CT. sagittal plane, index 92. W/L 1800/400 HU. 209x603 px
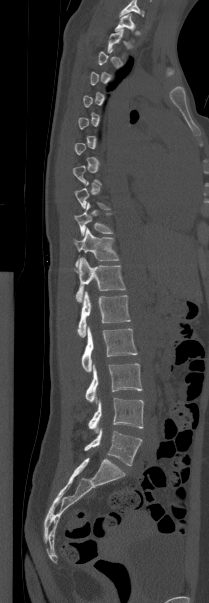

Boxes are (x1, y1, x2, y2) in pixels. A vertebra gets a box only on the slices from the first to the last where its cross-section is at least a third of its largest; on a slice outside that range it gets none. In this scan, the topmost labeled vertebra is T1 and the lowest is L5. 11 vertebrae labeled — L5 at (84, 428, 142, 466); L4 at (88, 398, 143, 432); L3 at (85, 363, 142, 402); L2 at (81, 326, 137, 372); L1 at (77, 291, 130, 337); T12 at (75, 257, 125, 302); T11 at (74, 227, 119, 266); T10 at (74, 202, 113, 235); T9 at (74, 182, 110, 209); T2 at (107, 29, 125, 57); T1 at (115, 14, 135, 31).